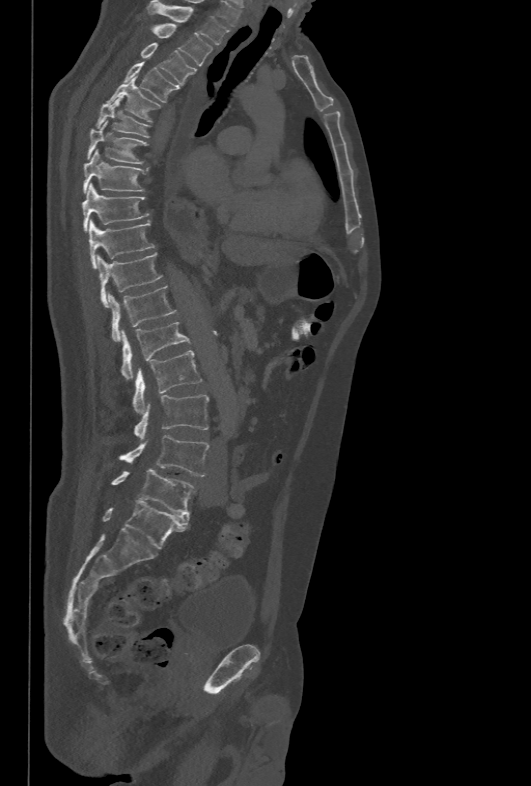 Spine CT · sagittal view · W/L 1800/400 HU · 478 mm across the image
Boxes below are [x1, y1, x2, y2] in pixels.
{"vertebrae":{"L5":[111,468,194,515],"L4":[119,435,209,476],"L3":[133,395,209,439],"L2":[132,350,201,413],"L1":[120,322,191,379],"T12":[109,286,177,342],"T11":[96,253,162,306],"T10":[89,219,155,268],"T9":[82,183,149,232],"T8":[83,149,147,194],"T7":[87,120,147,164],"T6":[95,96,149,137],"T5":[107,79,160,122],"T4":[123,62,178,102],"T3":[140,43,196,85],"T2":[152,23,213,65],"T1":[146,1,228,44]}}